CT, spine · the image is 291 mm wide · sagittal plane, index 41 · bone-window reconstruction
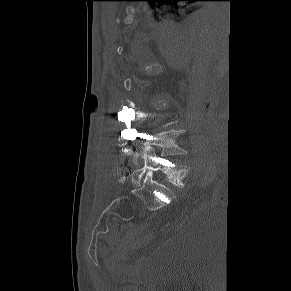
Bounding boxes as [x1, y1, x2, y2] in pixel coordinates. Each vertebra is boxed only on the slices from the first to the last where its cross-section reaches a third of its largest, so a slice outside that range leaves it unboxed. Vertebrae labeled: L5 at [130, 146, 190, 186], L4 at [137, 129, 186, 155].